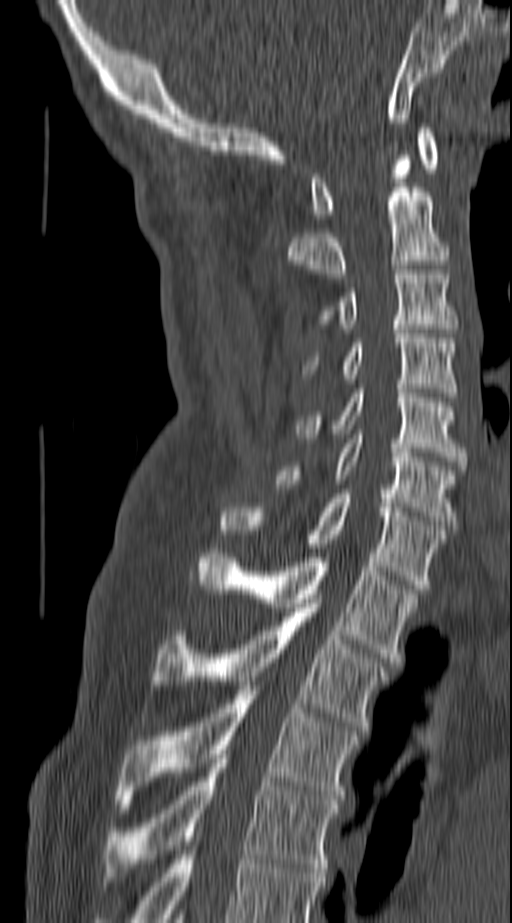
CT spine · sagittal reformat · the image spans 140 mm across · bone-window reconstruction · 512x923 px
Boxes are (x1, y1, x2, y2) in pixels. Labels in this scan begin with C1 at the top and end with T4 at the bottom. The labeled vertebrae in this slice are: C1 at (309, 128, 439, 218), C2 at (287, 155, 450, 278), C3 at (320, 274, 457, 328), C4 at (305, 329, 457, 397), C5 at (296, 389, 465, 465), C6 at (276, 434, 457, 529), C7 at (221, 494, 447, 589), T1 at (199, 549, 417, 662), T2 at (151, 603, 388, 730), T3 at (115, 686, 359, 808), T4 at (104, 754, 340, 881).